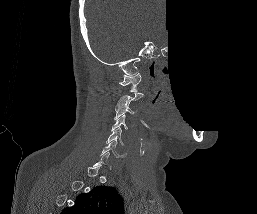
CT — image 257 mm wide — sagittal reformat — some of the image was removed or blocked out with constant pixels. Boxes: x1:y1:x2:y2 in pixels.
A vertebra is boxed only from the first to the last slice where its cross-section is at least a third of its largest; slices outside that range leave it without a box.
C1: 119:73:141:91
C3: 113:102:136:119
C4: 111:115:133:130
C5: 106:127:124:145
C6: 100:140:126:157